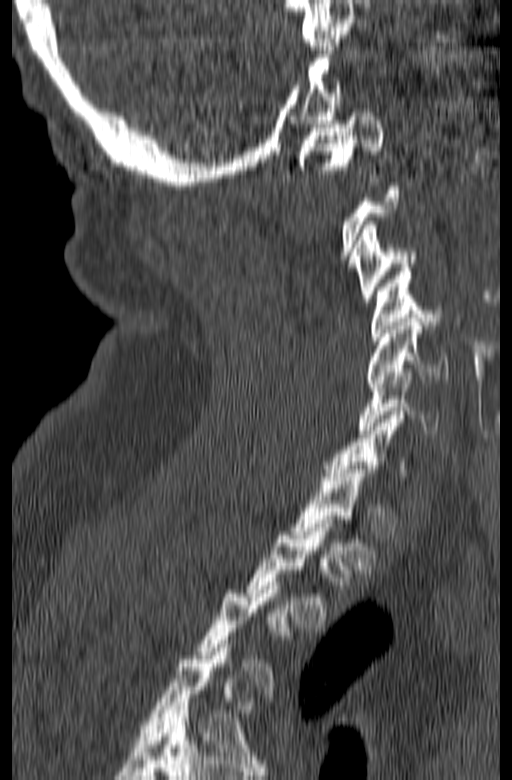
Spine CT; 165 mm image width; sagittal view
Each box is [x1, y1, x2, y2] in pixels: top-left corner, then bottom-right corner.
A vertebra gets a box only on the slices from the first to the last where its cross-section is at least a third of its largest; on a slice outside that range it gets none.
{"vertebrae":{"C1":[298,105,385,177],"C3":[352,221,416,302],"C4":[370,268,441,340],"C5":[367,318,448,387],"C6":[358,368,439,433],"T1":[291,465,377,569],"T2":[245,524,346,631]}}